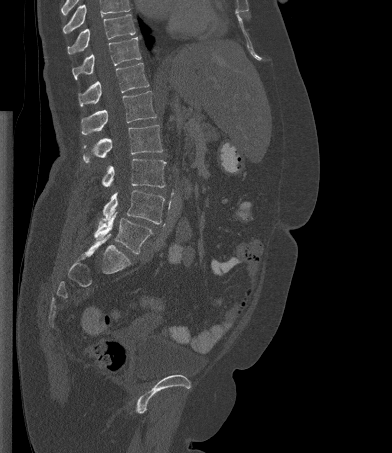

Spine CT; sagittal view; image 392 mm wide
Each vertebra maps to its box as [x1, y1, x2, y2], the pixel coordinates of its top-left and bottom-right corners.
Vertebrae that run past the top of the scan are left unlabeled.
{"vertebrae":{"T10":[67,14,135,54],"T11":[72,37,141,79],"T12":[78,62,149,106],"L1":[81,91,156,135],"L2":[83,125,162,162],"L3":[102,159,166,187],"L4":[102,190,164,224],"L5":[94,212,152,254]}}